Spine computed tomography · Sagittal slice 265/512 · the image spans 149 mm across · bone-window reconstruction
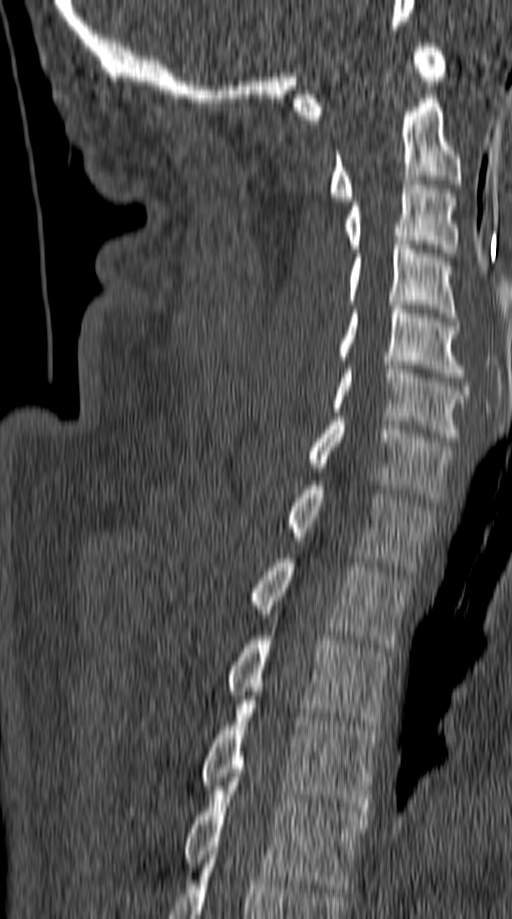 Coordinates as <box>x1,y1,x2,y2</box>.
Vertebra bounding boxes:
- C1: <box>294,43,447,119</box>
- C2: <box>328,94,461,201</box>
- C3: <box>345,180,457,257</box>
- C4: <box>348,241,457,321</box>
- C5: <box>338,305,464,377</box>
- C6: <box>331,361,468,441</box>
- C7: <box>307,417,454,502</box>
- T1: <box>286,481,433,570</box>
- T2: <box>252,558,409,648</box>
- T3: <box>228,623,389,729</box>
- T4: <box>201,700,378,811</box>
- T5: <box>183,777,366,892</box>